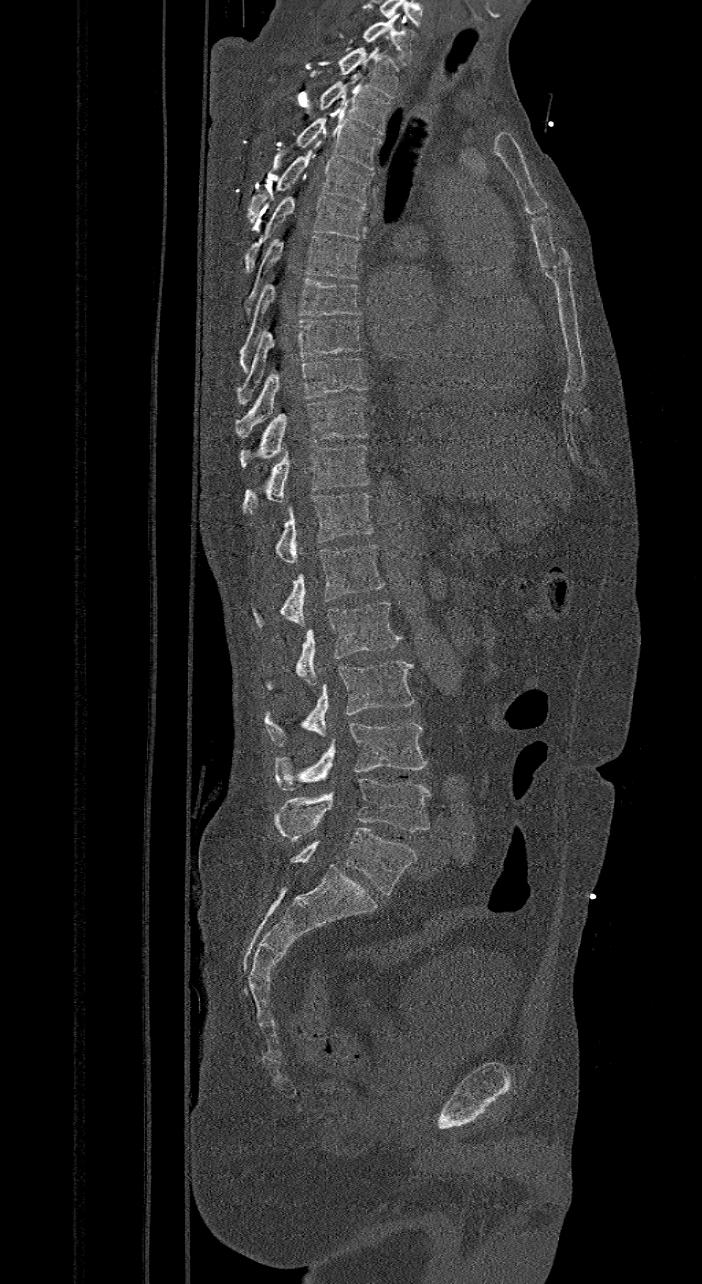
CT spine; 421 mm across the image; sagittal view; W/L 1800/400 HU
Boxes: x1:y1:x2:y2 in pixels.
Labels in this scan begin with C7 at the top and end with L6 at the bottom.
The labels name a sixth lumbar vertebra for this spine: L6, after L5.
Vertebra bounding boxes:
- C7: 363:17:413:64
- T1: 338:41:399:98
- T2: 319:74:391:134
- T3: 296:105:380:170
- T4: 247:141:373:223
- T5: 244:195:365:272
- T6: 243:235:361:317
- T7: 238:277:362:373
- T8: 238:318:362:405
- T9: 234:357:368:437
- T10: 240:395:368:466
- T11: 241:444:369:512
- T12: 275:492:375:562
- L1: 252:545:384:626
- L2: 264:602:401:688
- L3: 264:661:414:747
- L4: 273:723:427:790
- L5: 275:779:431:840
- L6: 291:828:416:895